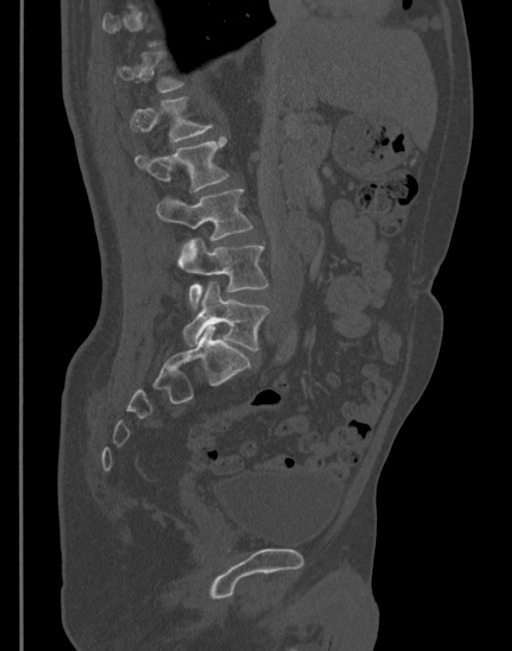

Spine computed tomography. sagittal view. W/L 1800/400 HU. the image is 345 mm wide
Each vertebra maps to its box as [x1, y1, x2, y2], the pixel coordinates of its top-left and bottom-right corners.
A vertebra is boxed only from the first to the last slice where its cross-section is at least a third of its largest; slices outside that range leave it without a box.
{"vertebrae":{"T12":[114,51,184,92],"L1":[130,96,212,143],"L2":[135,138,229,191],"L3":[156,189,253,248],"L4":[178,239,267,310],"L5":[182,281,269,350]}}